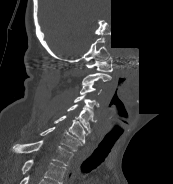

Spine computed tomography; sagittal view; the image spans 173 mm across; Bone window (WL 400, WW 1800); an area of the scan was removed and filled with constant pixels
Each box given as x1,y1,x2,y2. This scan's labels start at C1 at the top and end at T1 at the bottom. 8 vertebrae labeled — C1 at x1=85, y1=56, x2=112, y2=71; C2 at x1=82, y1=73, x2=111, y2=84; C3 at x1=80, y1=83, x2=101, y2=95; C4 at x1=74, y1=93, x2=99, y2=109; C5 at x1=67, y1=104, x2=96, y2=132; C6 at x1=54, y1=115, x2=89, y2=143; C7 at x1=39, y1=126, x2=81, y2=151; T1 at x1=13, y1=140, x2=73, y2=165.